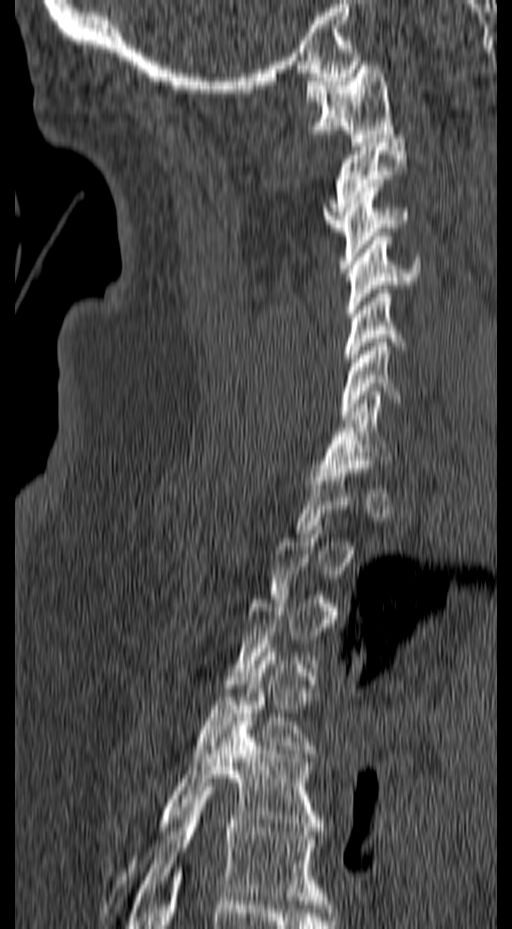

CT, spine — sagittal view
A vertebra is boxed only from the first to the last slice where its cross-section is at least a third of its largest; slices outside that range leave it without a box.
<vertebrae><v name="C1" x1="305" y1="65" x2="395" y2="142"/><v name="C2" x1="323" y1="139" x2="408" y2="231"/><v name="C3" x1="339" y1="183" x2="409" y2="268"/><v name="C4" x1="345" y1="232" x2="421" y2="317"/><v name="C5" x1="343" y1="285" x2="405" y2="370"/><v name="C6" x1="340" y1="338" x2="428" y2="419"/><v name="C7" x1="320" y1="391" x2="391" y2="472"/><v name="T4" x1="192" y1="648" x2="316" y2="757"/><v name="T5" x1="105" y1="713" x2="323" y2="904"/><v name="T6" x1="126" y1="787" x2="330" y2="928"/></vertebrae>